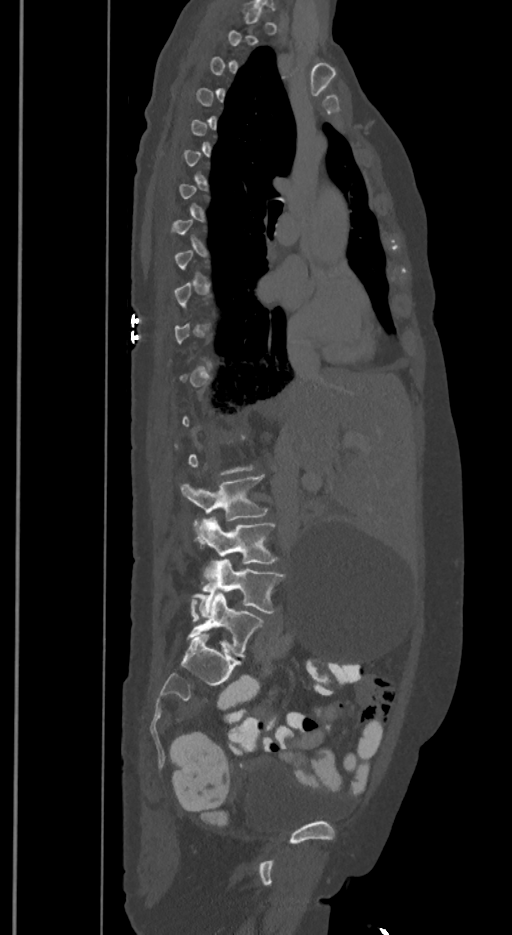

CT spine · sagittal view · the image spans 350 mm across · W/L 1800/400 HU
Boxes: x1 y1 x2 y2 (pixel coords, space-separated).
A vertebra gets a box only on the slices from the first to the last where its cross-section is at least a third of its largest; on a slice outside that range it gets none.
In these labels the spine has an L6, a sixth lumbar vertebra below L5.
Vertebra bounding boxes:
- L3: 181 475 268 526
- L4: 195 516 277 578
- L5: 191 560 284 615
- L6: 187 592 264 657